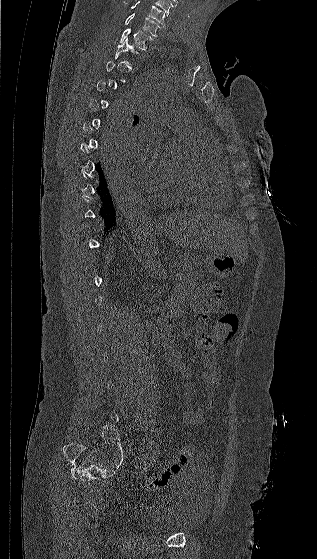 Computed tomography of the spine. sagittal view. image width 317 mm

A vertebra gets a box only on the slices from the first to the last where its cross-section is at least a third of its largest; on a slice outside that range it gets none.
In this scan, the topmost labeled vertebra is C7 and the lowest is L5.
<vertebrae><v name="C7" x1="124" y1="13" x2="161" y2="36"/><v name="T1" x1="119" y1="28" x2="152" y2="49"/></vertebrae>